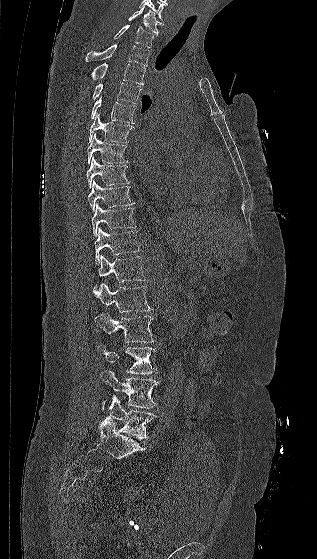

Spine computed tomography · sagittal reformat · Bone window (WL 400, WW 1800) · 317x559 px
Each box is [x1, y1, x2, y2] in pixels: top-left corner, then bottom-right corner.
{"vertebrae":{"C7":[128,6,161,34],"T1":[113,24,154,47],"T2":[85,44,149,65],"T3":[90,63,145,84],"T4":[92,83,142,103],"T5":[91,96,136,123],"T6":[88,113,134,142],"T7":[87,133,128,164],"T8":[86,156,130,188],"T9":[87,180,135,212],"T10":[91,203,136,237],"T11":[94,227,140,264],"T12":[94,254,145,288],"L1":[93,282,152,312],"L2":[94,313,155,342],"L3":[97,344,158,374],"L4":[100,370,159,409],"L5":[100,396,158,439]}}